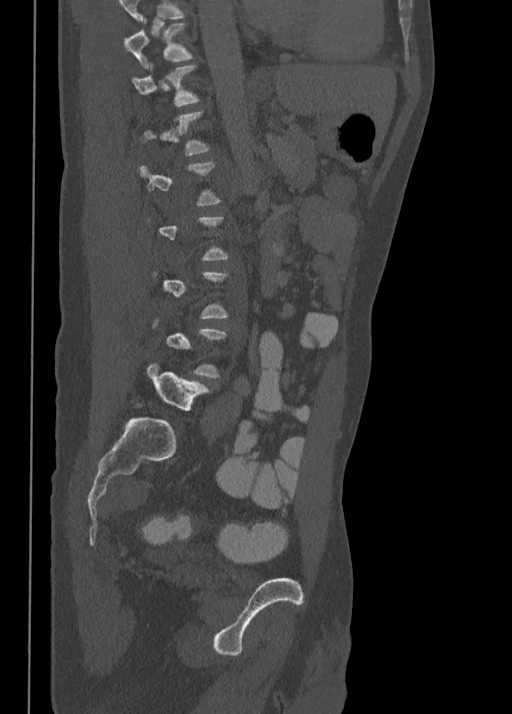

Spine computed tomography — sagittal reformat — image 350 mm wide — bone window

Bounding boxes as [x1, y1, x2, y2] in pixel coordinates.
A vertebra gets a box only on the slices from the first to the last where its cross-section is at least a third of its largest; on a slice outside that range it gets none.
This scan's labels start at T10 at the top and end at L5 at the bottom.
Vertebra bounding boxes:
- L5: [148, 362, 209, 410]
- T10: [124, 18, 192, 67]